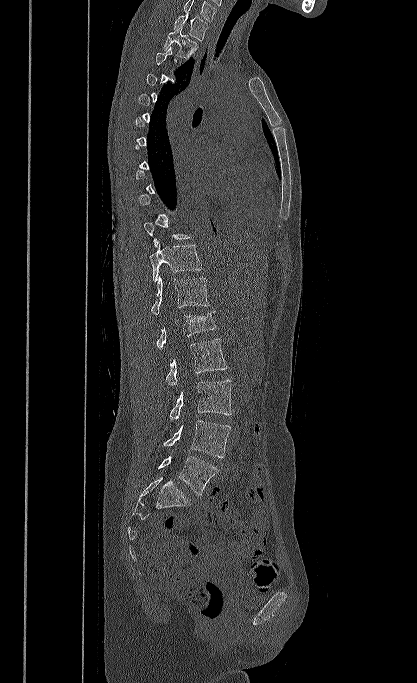
Computed tomography of the spine; sagittal reformat
Each box given as x1,y1,x2,y2.
Not every vertebra on this slice has a box: a vertebra is boxed only from the first to the last slice where its cross-section is at least a third of its largest, and this slice is outside that range for at least one of them.
This scan's labels start at T1 at the top and end at L5 at the bottom.
T1: x1=174, y1=12, x2=208, y2=40
T2: x1=164, y1=26, x2=198, y2=59
T11: x1=149, y1=242, x2=203, y2=282
T12: x1=151, y1=276, x2=209, y2=314
L1: x1=156, y1=311, x2=216, y2=349
L2: x1=166, y1=338, x2=227, y2=386
L3: x1=169, y1=380, x2=232, y2=419
L4: x1=163, y1=420, x2=230, y2=457
L5: x1=158, y1=456, x2=218, y2=495